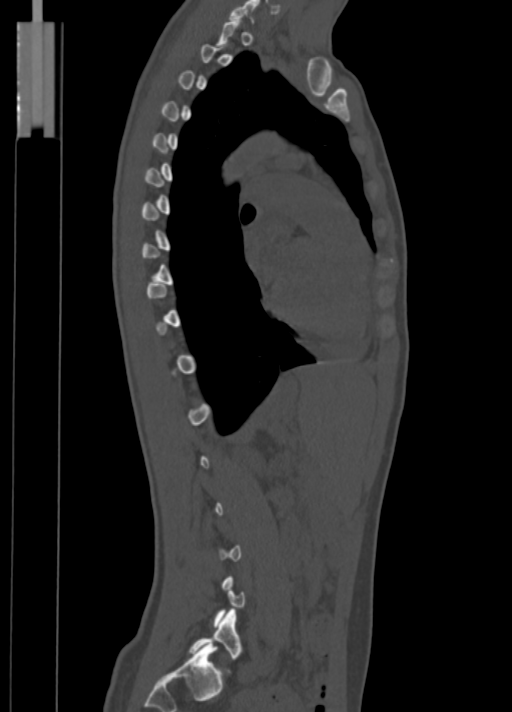

CT. sagittal view. bone-window reconstruction
Box edges are left/top/right/bottom in pixels. Each vertebra is boxed only on the slices from the first to the last where its cross-section reaches a third of its largest, so a slice outside that range leaves it unboxed. 2 vertebrae labeled — C7 at left=229, top=0, right=259, bottom=22; L5 at left=190, top=610, right=242, bottom=659.